CT · sagittal reformat · image 500 mm wide
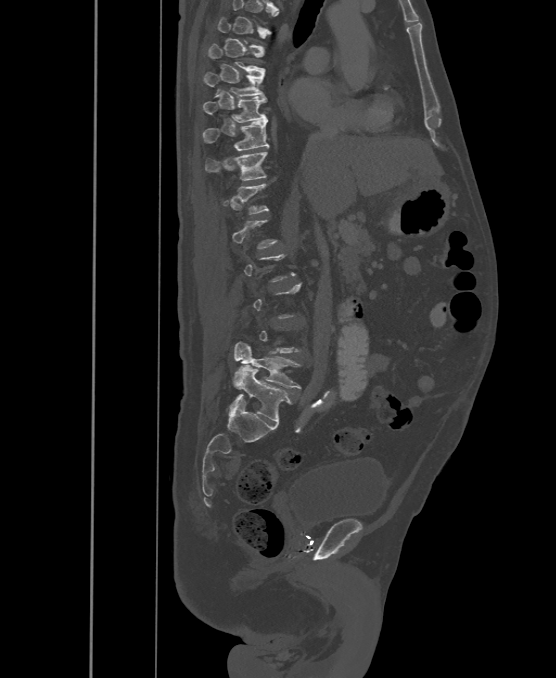 A vertebra gets a box only on the slices from the first to the last where its cross-section is at least a third of its largest; on a slice outside that range it gets none.
The labels name a sixth lumbar vertebra for this spine: L6, after L5.
<vertebrae><v name="T7" x1="207" y1="44" x2="265" y2="72"/><v name="T8" x1="203" y1="73" x2="266" y2="97"/><v name="T9" x1="203" y1="97" x2="267" y2="122"/><v name="T10" x1="202" y1="119" x2="269" y2="150"/><v name="T11" x1="204" y1="151" x2="268" y2="180"/><v name="L5" x1="234" y1="341" x2="300" y2="388"/><v name="L6" x1="231" y1="367" x2="293" y2="423"/></vertebrae>